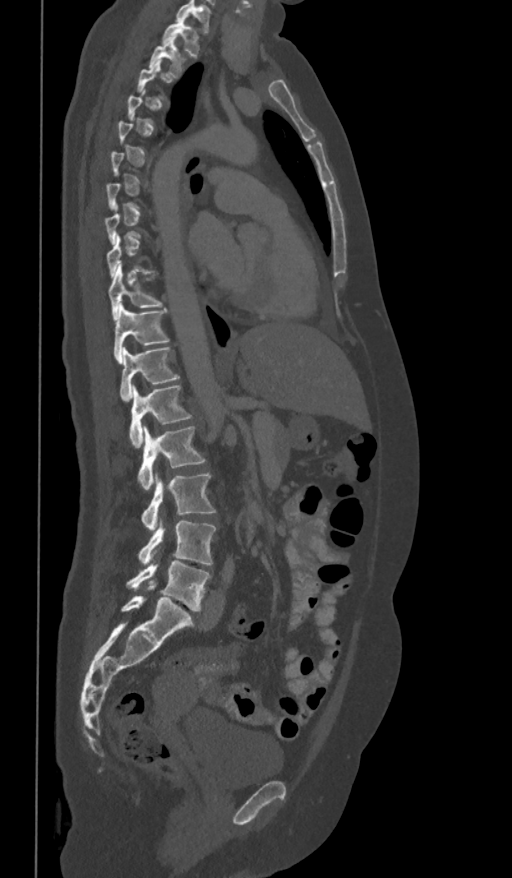
CT, spine — 361 mm across the image — sagittal view — bone window
Box values are [left, top, right, bottom] in pixels.
A vertebra is boxed only from the first to the last slice where its cross-section is at least a third of its largest; slices outside that range leave it without a box.
The highest labeled vertebra in this scan is T1; the lowest is L5.
{"vertebrae":{"T1":[161,17,200,56],"T2":[149,38,183,77],"T10":[109,266,163,318],"T11":[113,304,169,362],"T12":[120,346,179,401],"L1":[129,384,192,447],"L2":[137,426,206,490],"L3":[140,472,216,530],"L4":[137,521,216,564],"L5":[126,560,210,610]}}